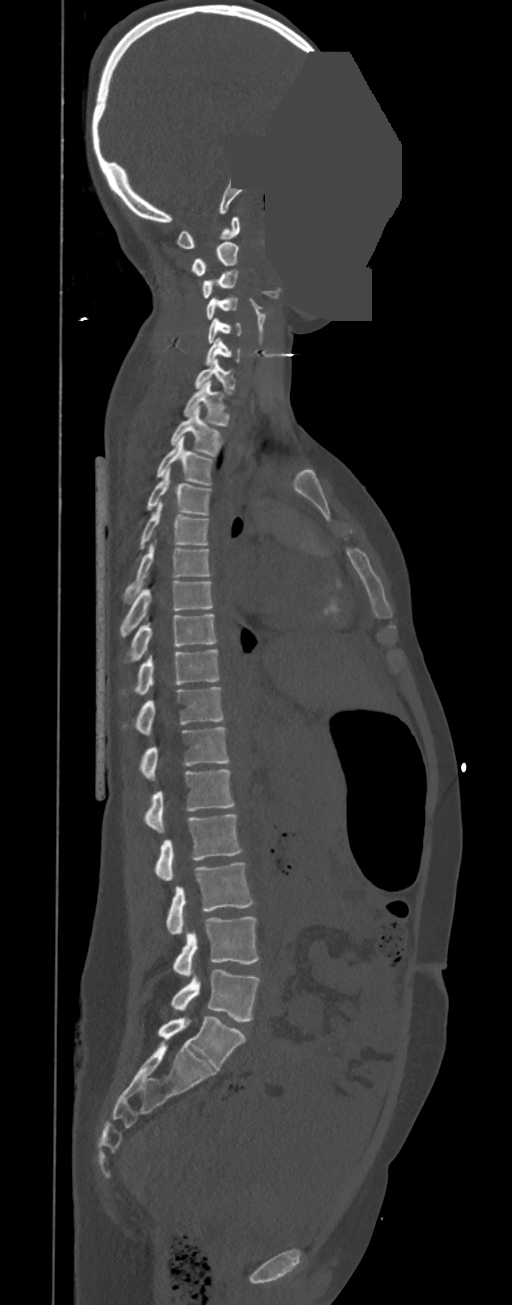

CT, spine; sagittal view; 350 mm wide; an area of the scan was removed and filled with constant pixels

Bounding boxes as [x1, y1, x2, y2] in pixel coordinates.
In these labels the spine has no T12: the thoracic vertebrae end at T11, and L1 comes next.
C1: [176, 216, 240, 248]
C2: [191, 242, 239, 275]
C3: [202, 270, 238, 298]
C4: [206, 298, 237, 319]
C5: [207, 317, 241, 343]
C6: [205, 337, 240, 365]
C7: [194, 359, 236, 394]
T1: [183, 380, 230, 426]
T2: [169, 406, 224, 457]
T3: [156, 436, 214, 485]
T4: [146, 466, 212, 515]
T5: [139, 502, 209, 549]
T6: [124, 540, 211, 603]
T7: [120, 581, 212, 636]
T8: [130, 614, 217, 660]
T9: [122, 649, 220, 694]
T10: [136, 687, 224, 735]
T11: [140, 727, 228, 780]
L1: [145, 769, 234, 832]
L2: [155, 814, 242, 880]
L3: [167, 862, 253, 934]
L4: [174, 916, 259, 976]
L5: [171, 970, 259, 1022]